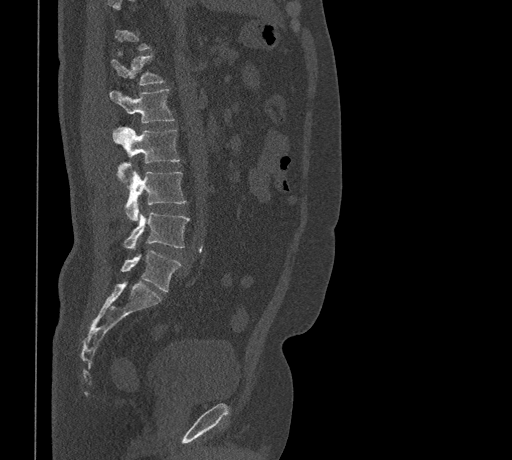
CT, spine. sagittal reformat. Box edges are left/top/right/bottom in pixels.
A vertebra is boxed only from the first to the last slice where its cross-section is at least a third of its largest; slices outside that range leave it without a box.
Vertebra bounding boxes:
- T12: left=111, top=56, right=164, bottom=85
- L1: left=110, top=89, right=174, bottom=122
- L2: left=113, top=127, right=179, bottom=177
- L3: left=125, top=170, right=185, bottom=220
- L4: left=123, top=209, right=189, bottom=250
- L5: left=121, top=250, right=181, bottom=291